Spine CT · sagittal plane, index 285 · bone-window reconstruction · 512x780 px
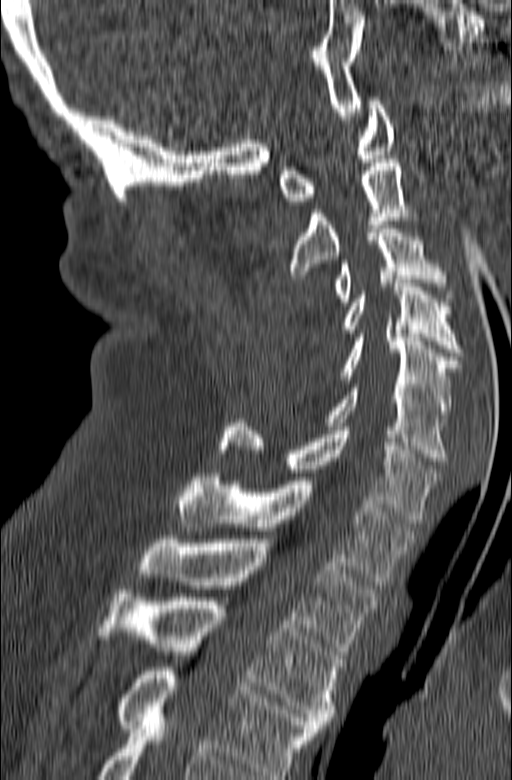 Boxes are (x1, y1, x2, y2) in pixels. The highest labeled vertebra in this scan is C1; the lowest is T3. 10 vertebrae labeled — T3 at (97, 590, 344, 728); T2 at (139, 539, 379, 651); T1 at (176, 473, 416, 585); C7 at (218, 419, 439, 523); C6 at (324, 384, 447, 461); C5 at (339, 334, 459, 418); C4 at (339, 283, 462, 356); C3 at (333, 225, 454, 305); C2 at (287, 159, 417, 278); C1 at (279, 97, 394, 205).